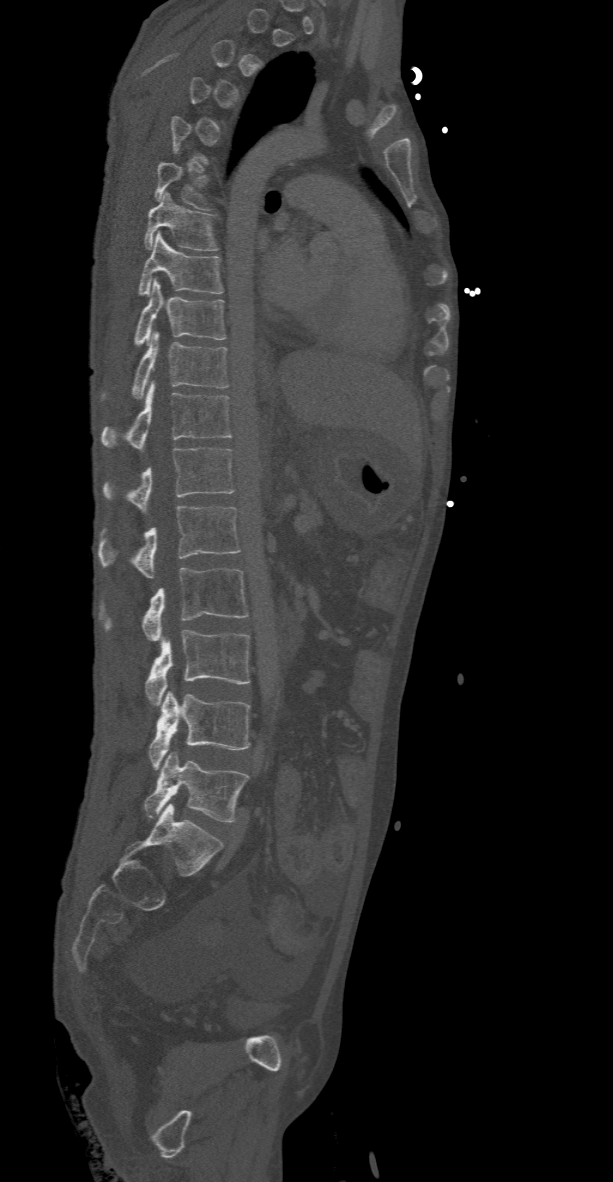 CT, spine · sagittal view · W/L 1800/400 HU
Each vertebra maps to its box as [x1, y1, x2, y2], the pixel coordinates of its top-left and bottom-right corners.
A vertebra is boxed only from the first to the last slice where its cross-section is at least a third of its largest; slices outside that range leave it without a box.
{"vertebrae":{"T6":[155,147,207,210],"T7":[145,192,217,250],"T8":[138,232,222,295],"T9":[133,279,225,345],"T10":[132,331,229,398],"T11":[102,381,233,451],"T12":[103,447,234,513],"L1":[98,506,241,578],"L2":[102,567,247,641],"L3":[145,629,251,705],"L4":[149,691,251,770],"L5":[143,752,248,821]}}